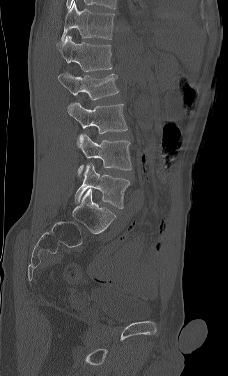

CT spine. sagittal view. W/L 1800/400 HU
Coordinates as <box>x1,y1,x2,y2</box>. This scan's labels start at L1 at the top and end at L5 at the bottom. Vertebrae labeled: L1 at <box>56,36,112,71</box>, L2 at <box>57,71,119,100</box>, L3 at <box>67,102,127,134</box>, L4 at <box>76,134,132,176</box>, L5 at <box>74,162,130,208</box>.